CT · Sagittal slice 166/512 · 512x694 px
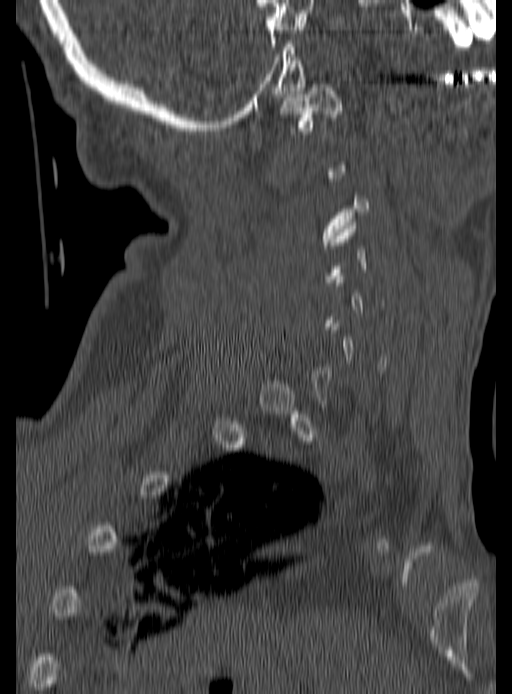 Coordinates as <box>x1,y1,x2,y2</box>.
Each vertebra is boxed only on the slices from the first to the last where its cross-section reaches a third of its largest, so a slice outside that range leaves it unboxed.
C1: <box>279,81,342,134</box>
C3: <box>321,195,369,245</box>